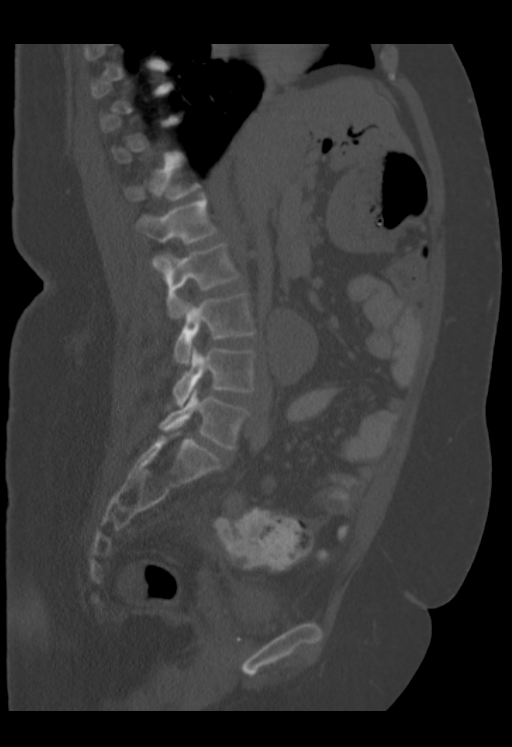 CT spine · sagittal view · 512x747 px · 353 mm across the image. Boxes are (x1, y1, x2, y2) in pixels. Not every vertebra on this slice has a box: a vertebra is boxed only from the first to the last slice where its cross-section is at least a third of its largest, and this slice is outside that range for at least one of them. 6 vertebrae labeled — L5 at (158, 388, 249, 449); L4 at (173, 345, 255, 407); L3 at (174, 293, 255, 365); L2 at (161, 244, 240, 318); L1 at (137, 198, 217, 269); T12 at (124, 156, 201, 200).